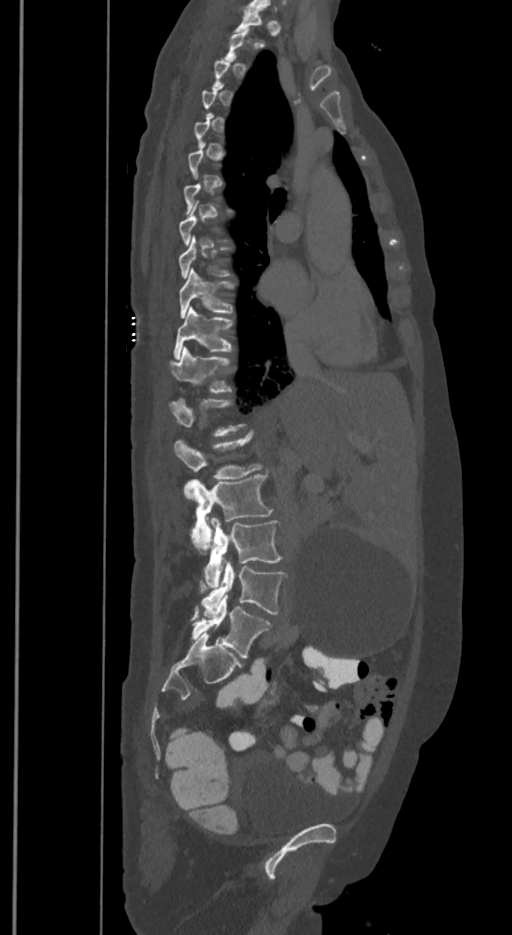
Spine computed tomography — sagittal view — W/L 1800/400 HU — 512x935 px. Box edges are left/top/right/bottom in pixels.
A vertebra is boxed only from the first to the last slice where its cross-section is at least a third of its largest; slices outside that range leave it without a box.
The labels name a sixth lumbar vertebra for this spine: L6, after L5.
T9: left=178, top=236, right=231, bottom=278
T10: left=180, top=267, right=234, bottom=318
T11: left=174, top=305, right=233, bottom=358
T12: left=169, top=346, right=231, bottom=393
L1: left=169, top=398, right=245, bottom=436
L2: left=174, top=431, right=262, bottom=480
L3: left=186, top=474, right=272, bottom=553
L4: left=204, top=517, right=281, bottom=588
L5: left=199, top=562, right=285, bottom=616
L6: left=191, top=594, right=271, bottom=657